CT; sagittal plane, index 58; the image spans 174 mm across
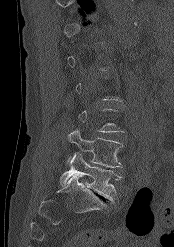 Box values are [left, top, right, bottom] in pixels.
A vertebra is boxed only from the first to the last slice where its cross-section is at least a third of its largest; slices outside that range leave it without a box.
{"vertebrae":{"L4":[66,129,123,167],"L5":[59,153,121,200]}}